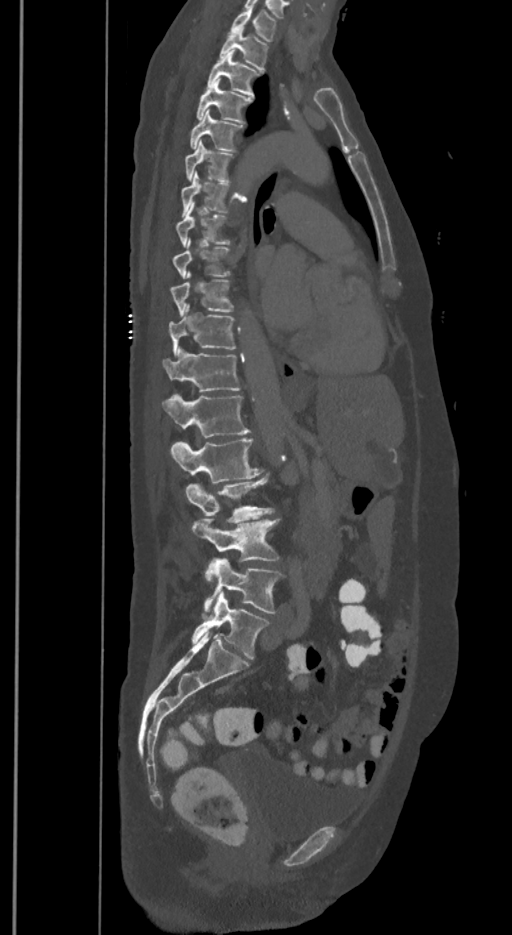
CT, spine. sagittal reformat

Each box given as x1,y1,x2,y2.
In these labels the spine has an L6, a sixth lumbar vertebra below L5.
T1: x1=231, y1=7, x2=275, y2=41
T2: x1=219, y1=26, x2=268, y2=71
T3: x1=207, y1=50, x2=259, y2=95
T4: x1=196, y1=79, x2=252, y2=121
T5: x1=190, y1=109, x2=243, y2=152
T6: x1=186, y1=141, x2=233, y2=182
T7: x1=181, y1=171, x2=230, y2=216
T8: x1=175, y1=201, x2=230, y2=245
T9: x1=172, y1=238, x2=230, y2=278
T10: x1=171, y1=271, x2=233, y2=315
T11: x1=169, y1=303, x2=236, y2=354
T12: x1=164, y1=349, x2=240, y2=391
L1: x1=164, y1=394, x2=250, y2=437
L2: x1=171, y1=438, x2=262, y2=483
L3: x1=186, y1=475, x2=274, y2=523
L4: x1=191, y1=517, x2=280, y2=581
L5: x1=205, y1=557, x2=283, y2=614
L6: x1=191, y1=592, x2=268, y2=659